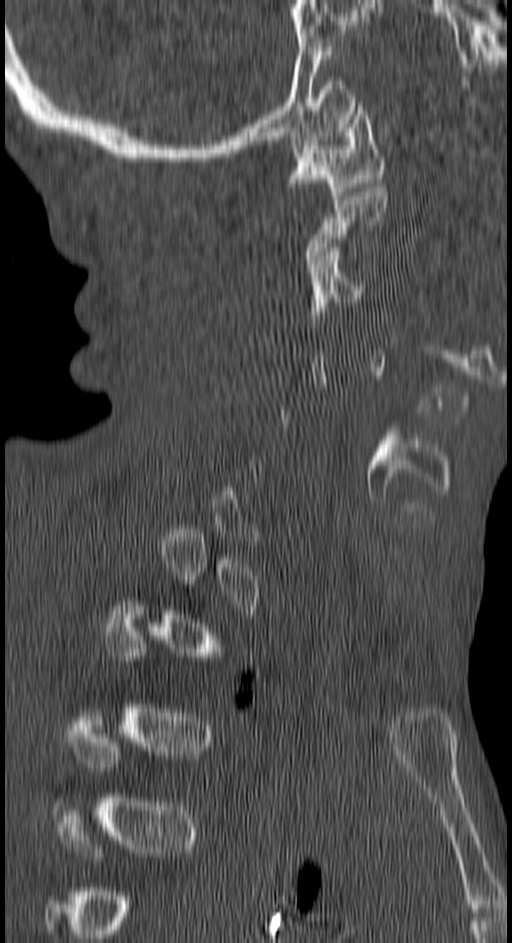

CT; sagittal view; bone-window reconstruction; 512x943 px; 150 mm across the image

Boxes: x1:y1:x2:y2 in pixels.
A vertebra gets a box only on the slices from the first to the last where its cross-section is at least a third of its largest; on a slice outside that range it gets none.
C3: 307:247:372:328
C2: 305:183:386:268
C1: 288:102:383:200